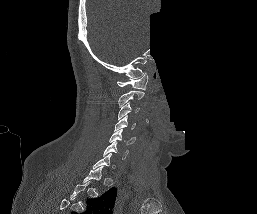 Spine CT · sagittal reformat · 257x214 px · some of the image was removed or blocked out with constant pixels. Boxes are (x1, y1, x2, y2) in pixels.
A vertebra is boxed only from the first to the last slice where its cross-section is at least a third of its largest; slices outside that range leave it without a box.
C1: (117, 72, 148, 90)
C2: (118, 90, 144, 106)
C3: (118, 102, 139, 119)
C4: (114, 115, 136, 130)
C5: (109, 129, 135, 144)
C6: (103, 141, 128, 159)
C7: (92, 153, 115, 168)